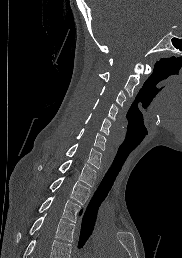

Computed tomography of the spine · sagittal reformat · bone window
Boxes below are [x1, y1, x2, y2] in pixels.
Where the bottom of the scan cuts through a vertebra, that vertebra gets no label or box.
{"vertebrae":{"C1":[109,58,151,74],"C2":[99,62,144,96],"C3":[100,86,125,107],"C4":[93,98,118,120],"C5":[85,113,111,134],"C6":[76,128,106,150],"C7":[65,143,102,168],"T1":[37,159,96,186],"T2":[49,177,90,204],"T3":[38,196,80,222],"T4":[17,213,74,241]}}